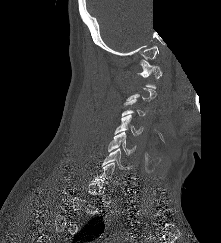

Spine computed tomography; sagittal reformat; W/L 1800/400 HU; 221x243 px; a region is blanked to uniform black, ending in a straight edge
A vertebra gets a box only on the slices from the first to the last where its cross-section is at least a third of its largest; on a slice outside that range it gets none.
<vertebrae><v name="C6" x1="102" y1="148" x2="129" y2="170"/><v name="C5" x1="108" y1="132" x2="135" y2="154"/><v name="C4" x1="114" y1="115" x2="143" y2="135"/><v name="C3" x1="121" y1="98" x2="145" y2="116"/><v name="C1" x1="137" y1="59" x2="162" y2="88"/></vertebrae>